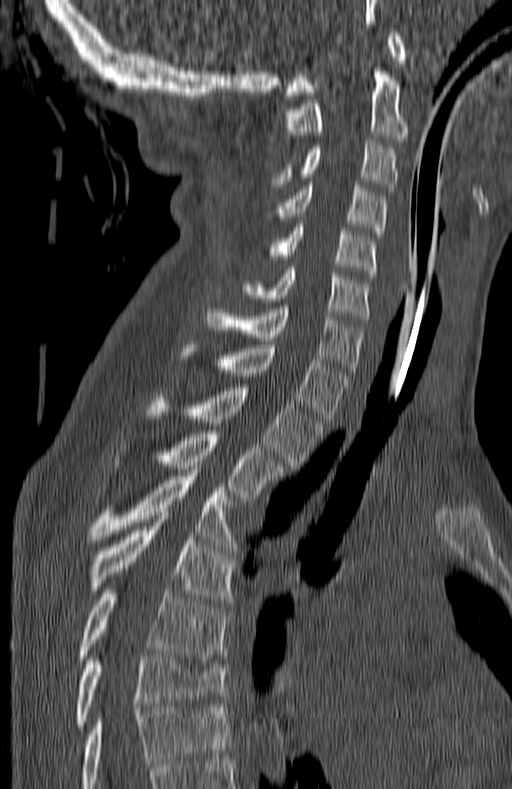
CT · sagittal reformat · image width 180 mm · bone window · 512x789 px

The highest labeled vertebra in this scan is C1; the lowest is T7.
<vertebrae><v name="T7" x1="78" y1="654" x2="227" y2="724"/><v name="T6" x1="81" y1="590" x2="227" y2="660"/><v name="T5" x1="92" y1="526" x2="236" y2="603"/><v name="T4" x1="89" y1="476" x2="239" y2="547"/><v name="T3" x1="112" y1="430" x2="284" y2="500"/><v name="T2" x1="146" y1="384" x2="321" y2="468"/><v name="T1" x1="180" y1="341" x2="349" y2="422"/><v name="C7" x1="206" y1="306" x2="364" y2="372"/><v name="C6" x1="246" y1="267" x2="370" y2="323"/><v name="C5" x1="265" y1="224" x2="375" y2="276"/><v name="C4" x1="271" y1="185" x2="387" y2="234"/><v name="C3" x1="273" y1="139" x2="398" y2="191"/><v name="C2" x1="285" y1="53" x2="407" y2="141"/><v name="C1" x1="285" y1="32" x2="405" y2="95"/></vertebrae>